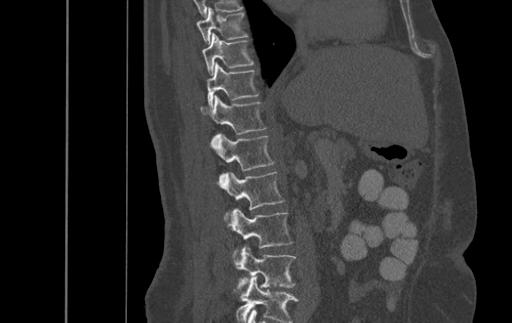
Computed tomography of the spine. sagittal view. image 500 mm wide. bone window. 512x323 px
Bounding boxes as [x1, y1, x2, y2] in pixel coordinates.
This scan's labels start at T9 at the top and end at L4 at the bottom.
T9: [196, 8, 248, 44]
T10: [201, 33, 253, 75]
T11: [206, 62, 258, 109]
T12: [200, 95, 265, 134]
L1: [209, 133, 273, 171]
L2: [216, 172, 284, 210]
L3: [224, 209, 293, 248]
L4: [233, 246, 295, 288]